Spine CT; sagittal reformat; 537x596 px; 7 vertebrae labeled in this scan
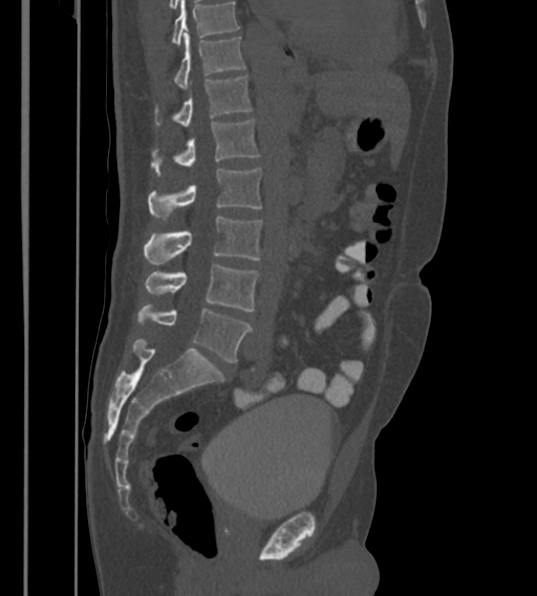
Boxes below are [x1, y1, x2, y2] in pixels.
In this scan, the topmost labeled vertebra is T12 and the lowest is L6.
In these labels the spine has an L6, a sixth lumbar vertebra below L5.
{"vertebrae":{"L6":[137,302,252,363],"L5":[145,264,259,311],"L4":[145,216,262,265],"L3":[149,167,261,218],"L2":[154,119,259,171],"L1":[176,74,252,128],"T12":[176,36,245,89]}}